CT; image 377 mm wide; Sagittal slice 255/512
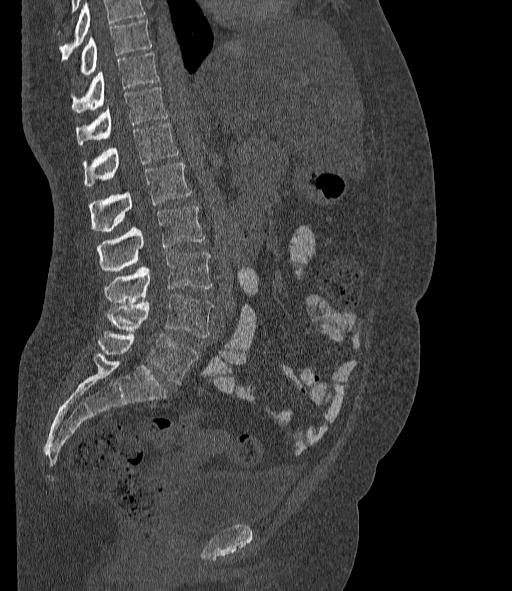 Each row gives a vertebra's box as x1, y1, x2, y2 in pixels: top-left corner, then bottom-right corner.
A vertebra cut off by the top edge of the scan is not labeled and has no box.
The labels name a sixth lumbar vertebra for this spine: L6, after L5.
| vertebra | x1 | y1 | x2 | y2 |
|---|---|---|---|---|
| L6 | 98 | 330 | 198 | 385 |
| L5 | 106 | 295 | 213 | 337 |
| L4 | 104 | 253 | 211 | 303 |
| L3 | 98 | 205 | 204 | 271 |
| L2 | 88 | 163 | 192 | 231 |
| L1 | 83 | 122 | 178 | 186 |
| T12 | 76 | 87 | 167 | 144 |
| T11 | 72 | 53 | 159 | 112 |
| T10 | 80 | 19 | 151 | 75 |